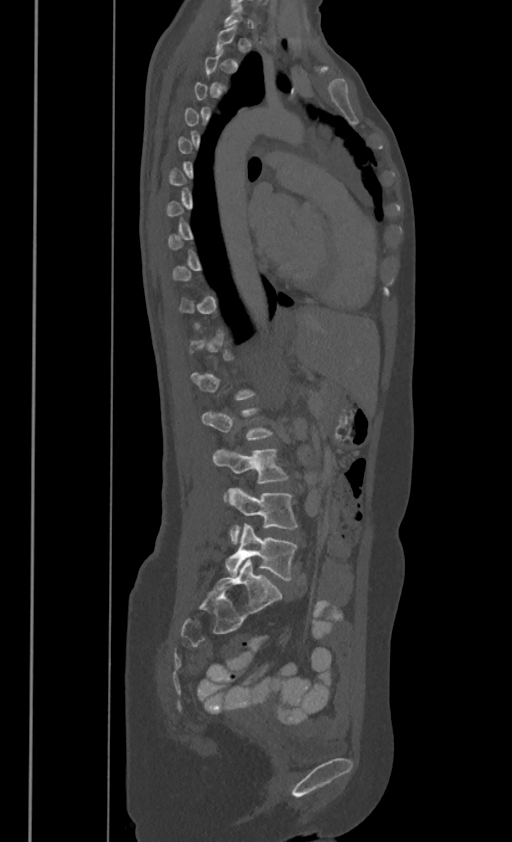
Spine CT — sagittal view — W/L 1800/400 HU
A vertebra is boxed only from the first to the last slice where its cross-section is at least a third of its largest; slices outside that range leave it without a box.
<vertebrae><v name="L3" x1="213" y1="449" x2="287" y2="482"/><v name="L4" x1="227" y1="487" x2="297" y2="543"/><v name="L5" x1="225" y1="523" x2="296" y2="579"/></vertebrae>